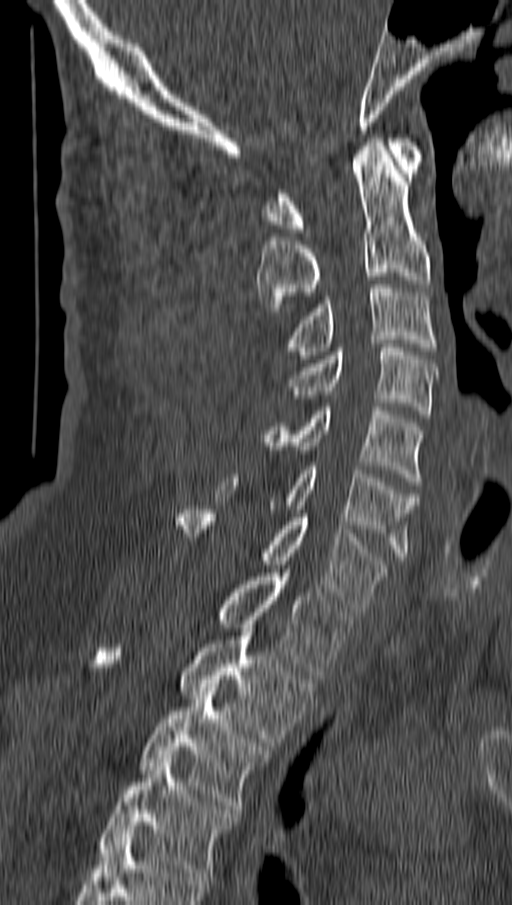 CT spine — sagittal view — image 162 mm wide — 512x905 px
<vertebrae><v name="C1" x1="263" y1="138" x2="423" y2="232"/><v name="C2" x1="257" y1="138" x2="430" y2="315"/><v name="C3" x1="282" y1="284" x2="436" y2="359"/><v name="C4" x1="289" y1="344" x2="436" y2="418"/><v name="C5" x1="255" y1="403" x2="424" y2="485"/><v name="C6" x1="217" y1="466" x2="417" y2="560"/><v name="C7" x1="178" y1="506" x2="386" y2="611"/><v name="T1" x1="219" y1="569" x2="351" y2="679"/><v name="T2" x1="96" y1="632" x2="313" y2="746"/><v name="T3" x1="140" y1="687" x2="269" y2="813"/><v name="T4" x1="99" y1="759" x2="237" y2="880"/></vertebrae>